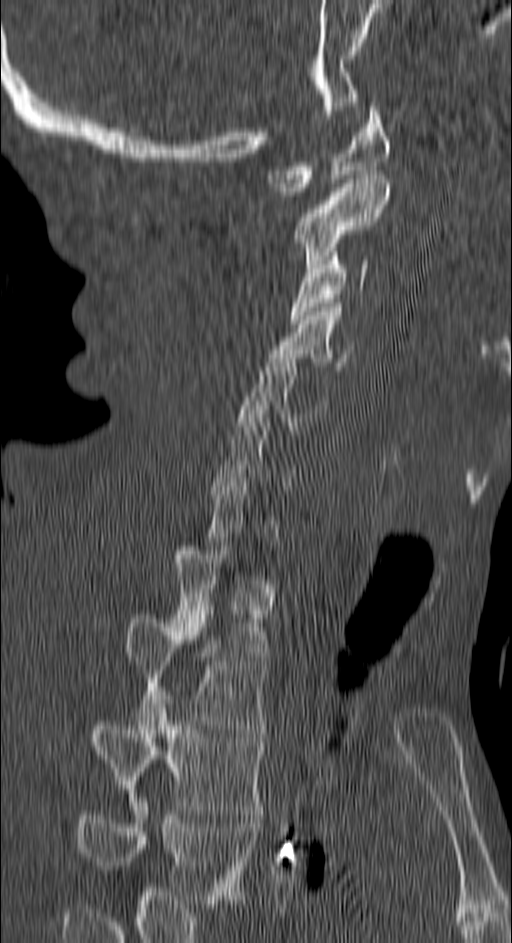
Spine CT; sagittal view; 512x943 px
Each box given as x1,y1,x2,y2.
A vertebra is boxed only from the first to the last slice where its cross-section is at least a third of its largest; slices outside that range leave it without a box.
This scan's labels start at C1 at the top and end at T4 at the bottom.
Vertebra bounding boxes:
- C1: x1=267, y1=102, x2=389, y2=195
- C2: x1=295, y1=175, x2=389, y2=268
- C3: x1=290, y1=252, x2=369, y2=323
- C4: x1=269, y1=303, x2=353, y2=366
- C5: x1=237, y1=354, x2=326, y2=434
- T1: x1=172, y1=546, x2=269, y2=660
- T2: x1=124, y1=614, x2=267, y2=733
- T3: x1=90, y1=695, x2=263, y2=814
- T4: x1=73, y1=794, x2=256, y2=904